CT spine; the image spans 350 mm across; sagittal view
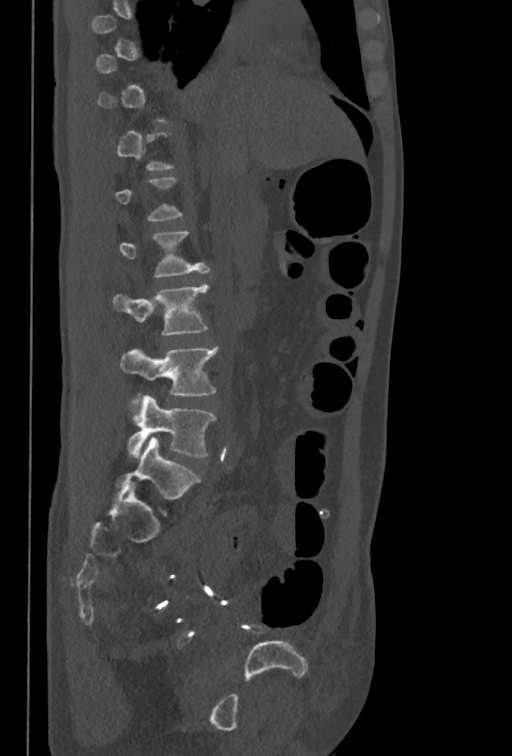
Boxes are (x1, y1, x2, y2) in pixels. Not every vertebra on this slice has a box: a vertebra is boxed only from the first to the last slice where its cross-section is at least a third of its largest, and this slice is outside that range for at least one of them. Vertebrae labeled: L5 at (126, 395, 215, 457), L4 at (120, 348, 217, 406), L3 at (112, 284, 208, 335).